Spine computed tomography — sagittal reformat — 461 mm wide — Bone window (WL 400, WW 1800) — 8 vertebrae labeled in this scan
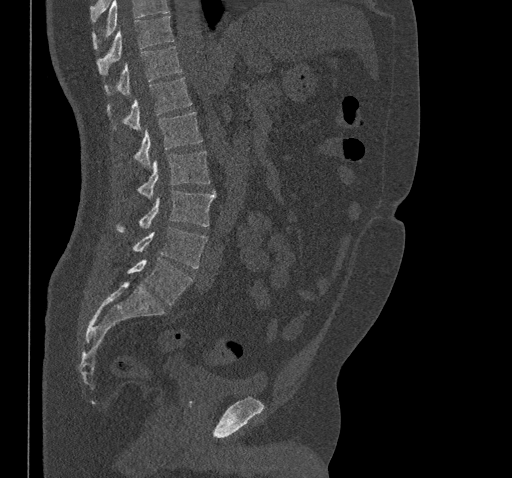
Box edges are left/top/right/bottom in pixels.
Where the top of the scan cuts through a vertebra, that vertebra gets no label or box.
L5: left=128, top=258, right=193, bottom=305
L4: left=133, top=227, right=207, bottom=268
L3: left=117, top=190, right=216, bottom=231
L2: left=138, top=151, right=209, bottom=198
L1: left=133, top=111, right=203, bottom=168
T12: left=107, top=77, right=192, bottom=130
T11: left=105, top=46, right=182, bottom=95
T10: left=97, top=16, right=174, bottom=75